CT spine. sagittal view. Bone window (WL 400, WW 1800)
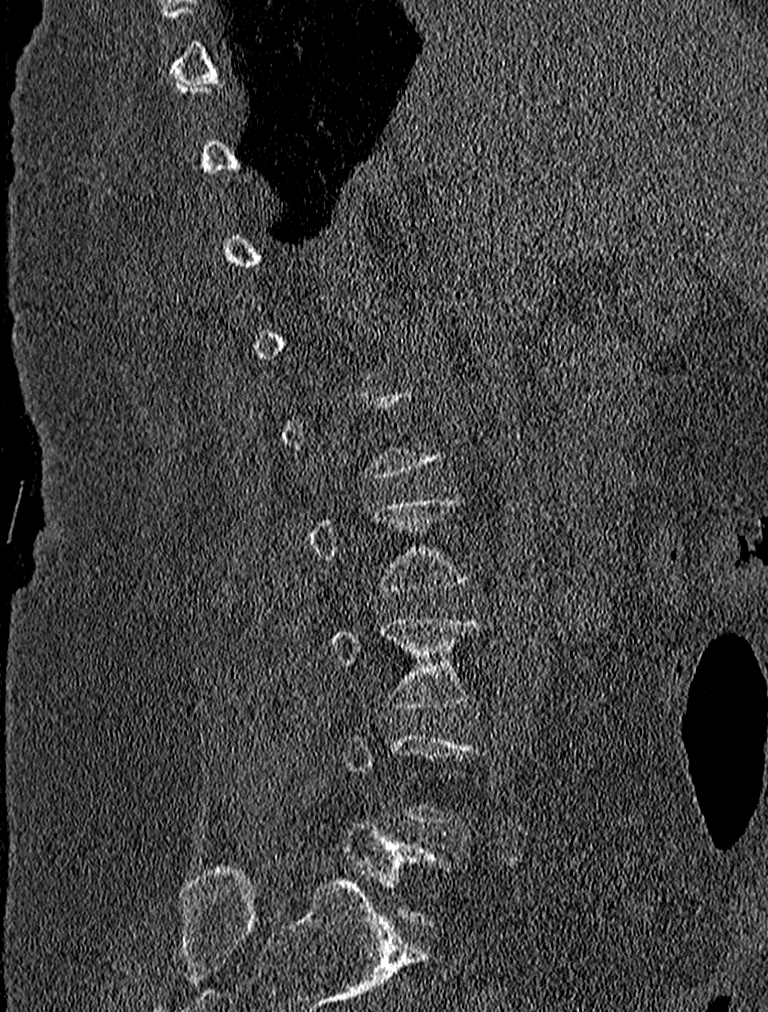
Boxes are given in columns x1, y1, x2, y2, the pixel coordinates of their top-left and bottom-right corners.
A vertebra is boxed only from the first to the last slice where its cross-section is at least a third of its largest; slices outside that range leave it without a box.
| vertebra | x1 | y1 | x2 | y2 |
|---|---|---|---|---|
| L2 | 307 | 495 | 471 | 593 |
| L3 | 330 | 615 | 482 | 708 |